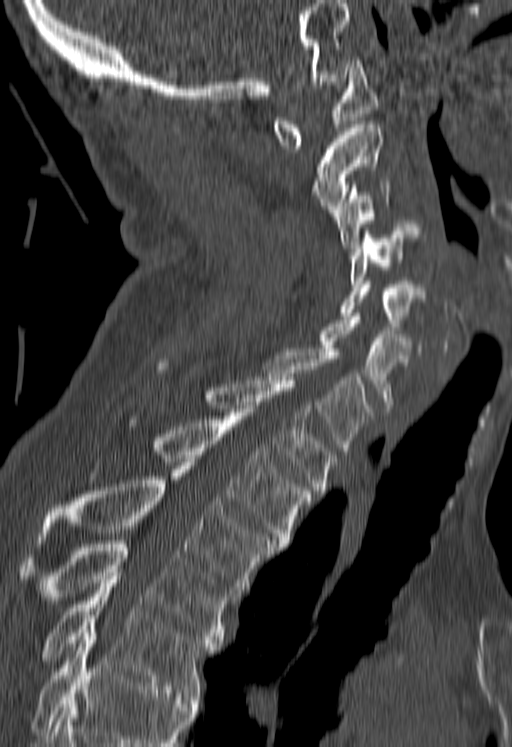

Computed tomography of the spine. sagittal view. Bone window (WL 400, WW 1800). 512x747 px
Where the bottom of the scan cuts through a vertebra, that vertebra gets no label or box.
<vertebrae><v name="C1" x1="273" y1="57" x2="377" y2="152"/><v name="C2" x1="312" y1="124" x2="381" y2="212"/><v name="C3" x1="334" y1="181" x2="390" y2="248"/><v name="C4" x1="351" y1="220" x2="425" y2="283"/><v name="C5" x1="339" y1="281" x2="425" y2="333"/><v name="C6" x1="319" y1="313" x2="411" y2="411"/><v name="C7" x1="263" y1="348" x2="373" y2="454"/><v name="T1" x1="157" y1="359" x2="336" y2="493"/><v name="T2" x1="152" y1="412" x2="313" y2="547"/><v name="T3" x1="39" y1="466" x2="273" y2="596"/><v name="T4" x1="21" y1="540" x2="230" y2="646"/><v name="T5" x1="44" y1="580" x2="216" y2="699"/></vertebrae>